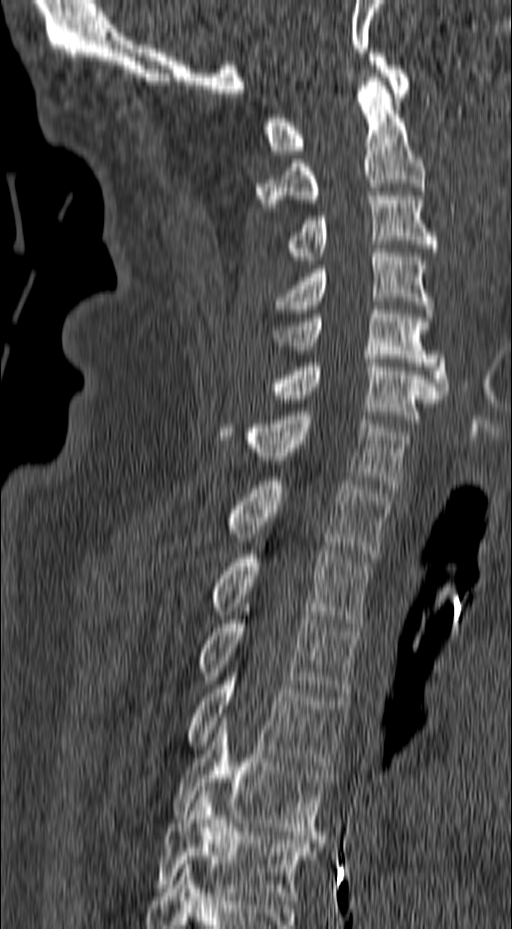 Computed tomography of the spine. sagittal reformat. W/L 1800/400 HU. Boxes are (x1, y1, x2, y2) in pixels. 13 vertebrae labeled — C1 at (262, 53, 409, 154); C2 at (256, 77, 425, 207); C3 at (285, 196, 439, 260); C4 at (274, 249, 433, 317); C5 at (270, 310, 448, 394); C6 at (249, 359, 443, 423); C7 at (219, 412, 411, 488); T1 at (226, 477, 391, 557); T2 at (210, 546, 372, 627); T3 at (197, 607, 359, 696); T4 at (187, 669, 349, 769); T5 at (171, 717, 330, 839); T6 at (155, 791, 313, 904).